CT spine. Sagittal slice 155/312
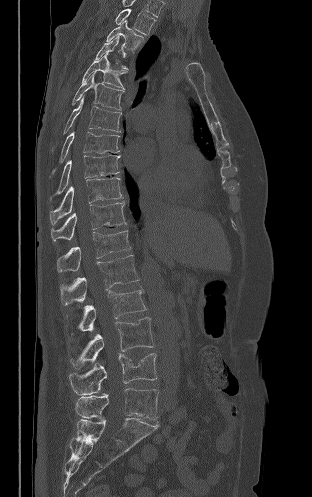
In the table, x1 and y1 are a box's top-left corner and x2 and y2 its bottom-right corner, in pixels.
| vertebra | x1 | y1 | x2 | y2 |
|---|---|---|---|---|
| T2 | 115 | 8 | 156 | 34 |
| T3 | 106 | 20 | 143 | 51 |
| T4 | 95 | 35 | 127 | 69 |
| T5 | 82 | 53 | 127 | 89 |
| T6 | 72 | 72 | 124 | 110 |
| T7 | 52 | 96 | 121 | 152 |
| T8 | 52 | 131 | 119 | 173 |
| T9 | 50 | 155 | 120 | 199 |
| T10 | 49 | 177 | 122 | 224 |
| T11 | 51 | 201 | 126 | 241 |
| T12 | 57 | 230 | 131 | 272 |
| L1 | 60 | 255 | 139 | 305 |
| L2 | 78 | 289 | 146 | 331 |
| L3 | 70 | 317 | 153 | 368 |
| L4 | 69 | 353 | 156 | 395 |
| L5 | 75 | 388 | 158 | 420 |